Spine computed tomography. sagittal view. image width 392 mm. bone window
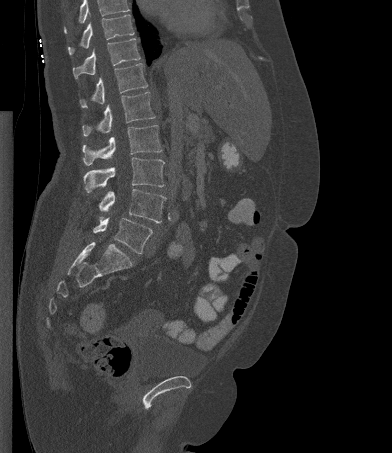 Coordinates as <box>x1,y1,x2,y2</box>. Vertebrae that run past the top of the scan are left unlabeled. 8 vertebrae labeled — T10 at <box>68,14,134,55</box>; T11 at <box>73,38,140,78</box>; T12 at <box>80,63,147,107</box>; L1 at <box>82,92,155,136</box>; L2 at <box>82,125,162,165</box>; L3 at <box>83,157,164,192</box>; L4 at <box>99,189,165,223</box>; L5 at <box>93,217,152,254</box>.